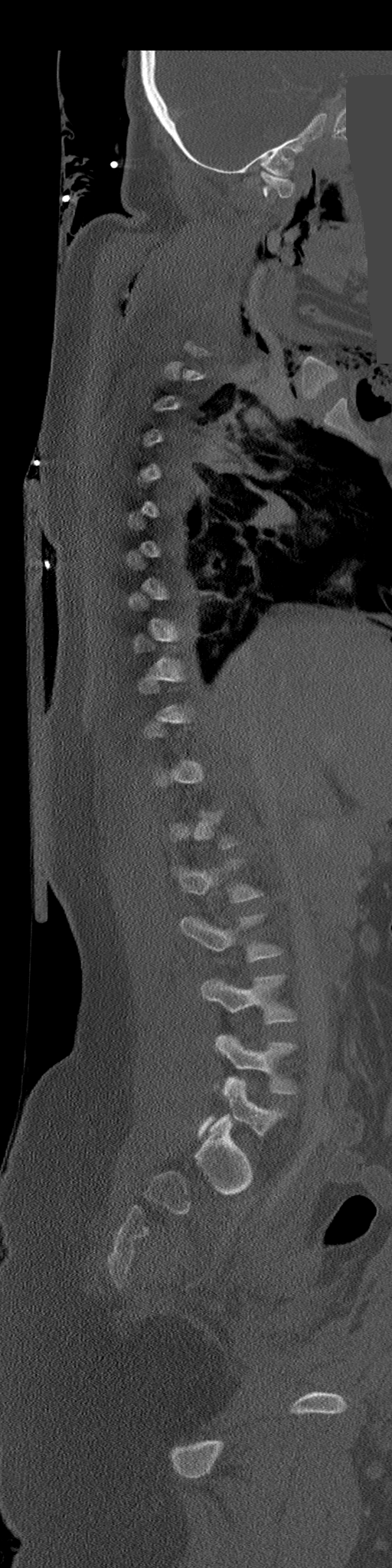
Spine CT. sagittal view. bone-window reconstruction. some of the image was removed or blocked out with constant pixels
Each vertebra maps to its box as [x1, y1, x2, y2], the pixel coordinates of its top-left and bottom-right corners.
Not every vertebra on this slice has a box: a vertebra is boxed only from the first to the last slice where its cross-section is at least a third of its largest, and this slice is outside that range for at least one of them.
{"vertebrae":{"C1":[260,171,295,201],"L1":[174,859,263,902],"L2":[179,914,282,961],"L3":[201,975,296,1024],"L4":[216,1034,296,1094],"L5":[198,1078,286,1136]}}